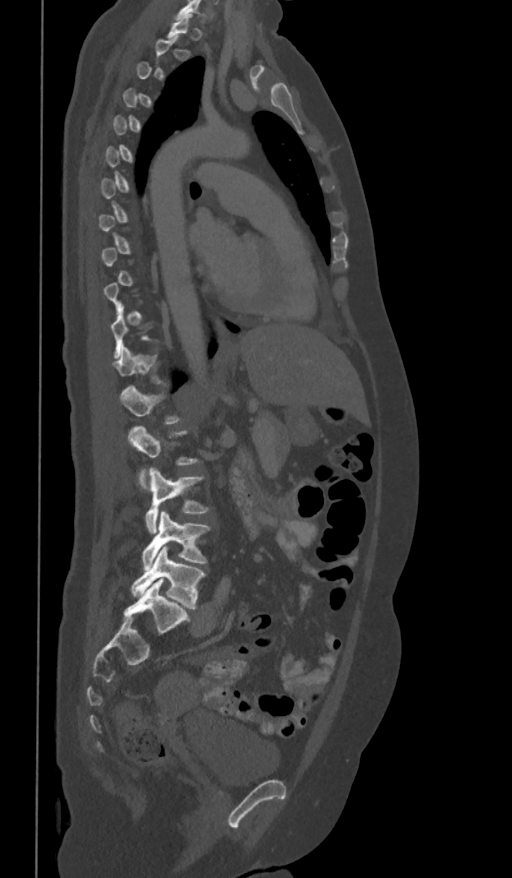
CT spine. sagittal view. bone-window reconstruction
Boxes below are [x1, y1, x2, y2] in pixels.
A vertebra is boxed only from the first to the last slice where its cross-section is at least a third of its largest; slices outside that range leave it without a box.
{"vertebrae":{"L1":[119,387,180,424],"L2":[129,426,197,489],"L3":[144,467,209,533],"L4":[142,511,210,570],"L5":[132,546,204,609]}}